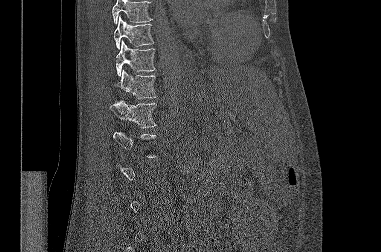
CT, spine · sagittal view
Each box given as x1,y1,x2,y2. A vertebra gets a box only on the slices from the first to the last where its cross-section is at least a third of its largest; on a slice outside that range it gets none. A vertebra cut off by the top edge of the scan is not labeled and has no box. The labeled vertebrae in this slice are: T9 at x1=113, y1=16, x2=153, y2=49, T10 at x1=116, y1=40, x2=155, y2=76, T11 at x1=115, y1=69, x2=156, y2=98, T12 at x1=109, y1=99, x2=156, y2=128.